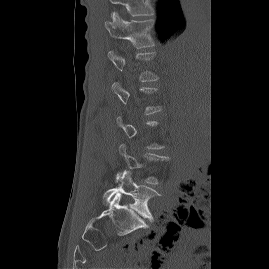 CT spine; the image is 269 mm wide; sagittal view; bone-window reconstruction; 269x269 px
Not every vertebra on this slice has a box: a vertebra is boxed only from the first to the last slice where its cross-section is at least a third of its largest, and this slice is outside that range for at least one of them.
In this scan, the topmost labeled vertebra is T12 and the lowest is L5.
<vertebrae><v name="L5" x1="103" y1="170" x2="159" y2="221"/><v name="L1" x1="108" y1="50" x2="158" y2="81"/><v name="T12" x1="104" y1="12" x2="154" y2="48"/></vertebrae>